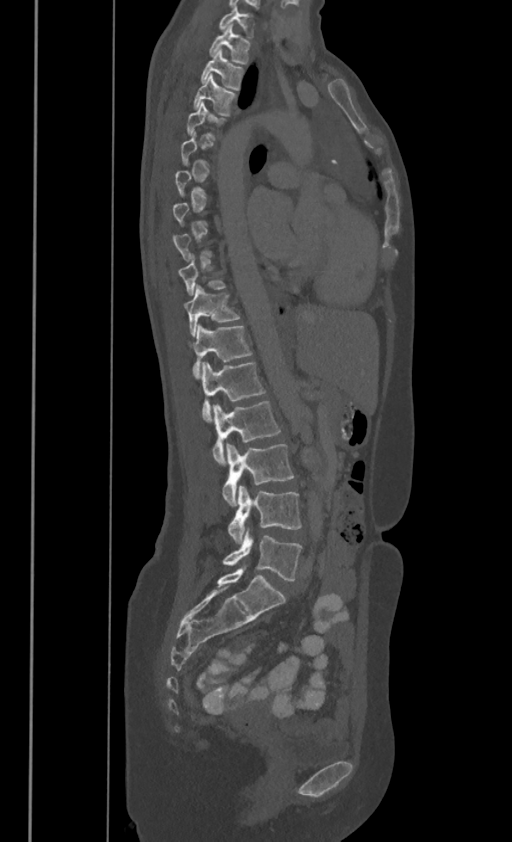

CT spine — sagittal reformat — the image is 386 mm wide — 512x842 px
Each vertebra is boxed only on the slices from the first to the last where its cross-section reaches a third of its largest, so a slice outside that range leaves it unboxed.
In these labels the thoracic vertebrae end at T11, so L1 follows T11.
<vertebrae><v name="C7" x1="219" y1="5" x2="252" y2="36"/><v name="T1" x1="209" y1="24" x2="250" y2="62"/><v name="T2" x1="200" y1="48" x2="243" y2="89"/><v name="T3" x1="193" y1="73" x2="236" y2="114"/><v name="T4" x1="187" y1="101" x2="223" y2="139"/><v name="T10" x1="184" y1="283" x2="239" y2="334"/><v name="T11" x1="191" y1="325" x2="251" y2="375"/><v name="L1" x1="201" y1="361" x2="264" y2="422"/><v name="L2" x1="212" y1="400" x2="280" y2="465"/><v name="L3" x1="223" y1="444" x2="293" y2="505"/><v name="L4" x1="228" y1="485" x2="301" y2="542"/><v name="L5" x1="223" y1="529" x2="301" y2="580"/></vertebrae>